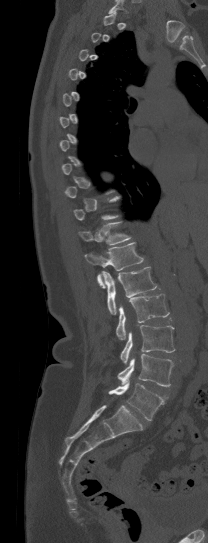

Spine CT — sagittal reformat — Bone window (WL 400, WW 1800). Each box given as x1,y1,x2,y2.
A vertebra gets a box only on the slices from the first to the last where its cross-section is at least a third of its largest; on a slice outside that range it gets none.
| vertebra | x1 | y1 | x2 | y2 |
|---|---|---|---|---|
| T11 | 78 | 221 | 130 | 244 |
| T12 | 84 | 242 | 143 | 288 |
| L1 | 102 | 267 | 156 | 314 |
| L2 | 116 | 294 | 169 | 339 |
| L3 | 120 | 325 | 174 | 363 |
| L4 | 117 | 354 | 174 | 386 |
| L5 | 109 | 381 | 163 | 420 |